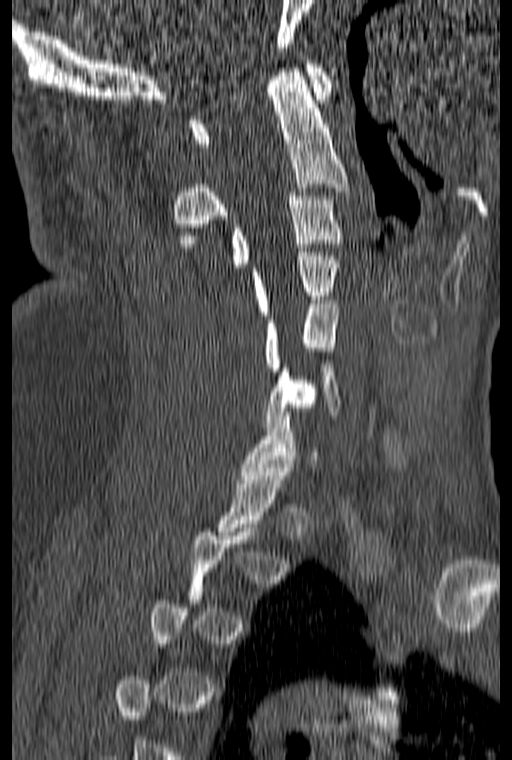 Computed tomography of the spine; sagittal reformat; bone window; 512x760 px
Each vertebra is boxed only on the slices from the first to the last where its cross-section reaches a third of its largest, so a slice outside that range leaves it unboxed.
<vertebrae><v name="C6" x1="264" y1="360" x2="340" y2="427"/><v name="C5" x1="264" y1="300" x2="339" y2="371"/><v name="C4" x1="251" y1="252" x2="339" y2="319"/><v name="C3" x1="231" y1="192" x2="343" y2="267"/><v name="C2" x1="173" y1="68" x2="349" y2="247"/><v name="C1" x1="189" y1="60" x2="332" y2="147"/></vertebrae>